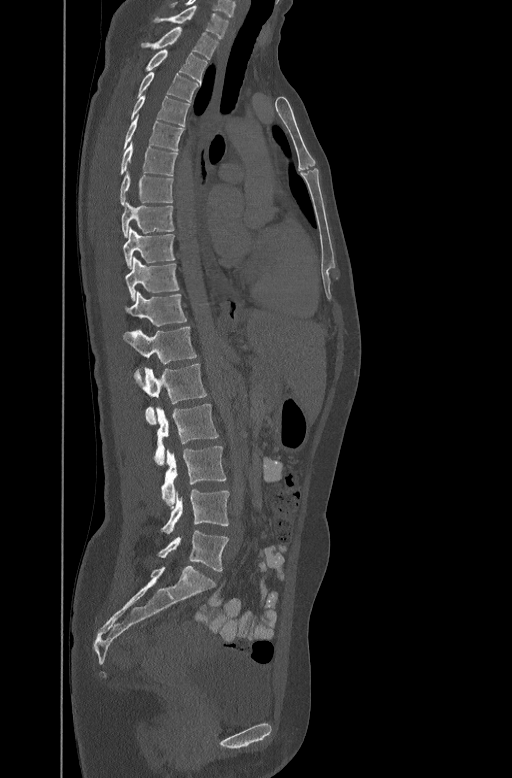
CT spine. sagittal view

In the table, x1 and y1 are a box's top-left corner and x2 and y2 its bottom-right corner, in pixels.
| vertebra | x1 | y1 | x2 | y2 |
|---|---|---|---|---|
| C7 | 155 | 5 | 229 | 38 |
| T1 | 142 | 26 | 218 | 58 |
| T2 | 147 | 48 | 207 | 81 |
| T3 | 137 | 70 | 199 | 100 |
| T4 | 131 | 94 | 189 | 125 |
| T5 | 124 | 114 | 183 | 148 |
| T6 | 120 | 140 | 176 | 175 |
| T7 | 120 | 170 | 173 | 204 |
| T8 | 121 | 200 | 173 | 236 |
| T9 | 122 | 227 | 174 | 267 |
| T10 | 125 | 256 | 179 | 299 |
| T11 | 125 | 291 | 187 | 325 |
| T12 | 122 | 325 | 196 | 363 |
| L1 | 134 | 363 | 207 | 424 |
| L2 | 155 | 404 | 218 | 465 |
| L3 | 161 | 446 | 226 | 506 |
| L4 | 161 | 490 | 229 | 533 |
| L5 | 158 | 530 | 228 | 571 |